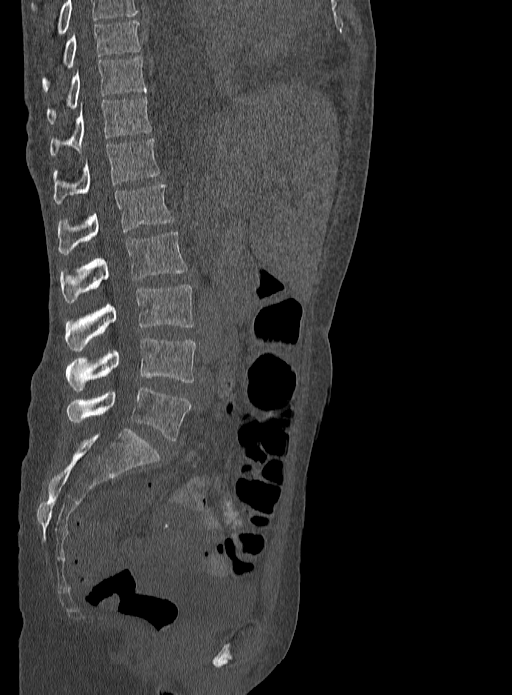
CT; sagittal view
Each box given as x1,y1,x2,y2.
Labels in this scan begin with T9 at the top and end with L5 at the bottom.
Vertebra bounding boxes:
- T9: x1=41, y1=20, x2=140, y2=91
- T10: x1=46, y1=57, x2=146, y2=124
- T11: x1=50, y1=97, x2=151, y2=156
- T12: x1=54, y1=138, x2=160, y2=203
- L1: x1=57, y1=185, x2=174, y2=254
- L2: x1=60, y1=232, x2=186, y2=302
- L3: x1=64, y1=284, x2=194, y2=351
- L4: x1=66, y1=338, x2=196, y2=391
- L5: x1=66, y1=387, x2=191, y2=440